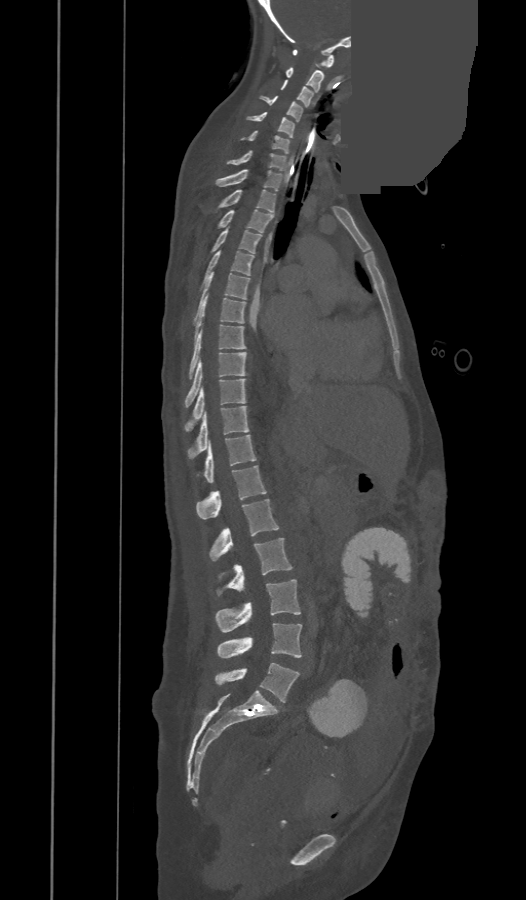

Computed tomography of the spine; sagittal view; 526x900 px; the image is 473 mm wide; a portion of the image is blanked out (constant pixel value)
Bounding boxes as [x1, y1, x2, y2] in pixel coordinates. These labels give the spine a thirteenth thoracic vertebra: T13 sits between T12 and L1. The labeled vertebrae in this slice are: C1 at [293, 49, 334, 67], C2 at [285, 67, 323, 92], C3 at [281, 80, 312, 107], C4 at [260, 96, 302, 121], C5 at [246, 112, 295, 137], C6 at [241, 130, 288, 154], C7 at [227, 150, 285, 170], T1 at [216, 169, 282, 190], T2 at [216, 189, 275, 212], T3 at [217, 209, 273, 232], T4 at [210, 229, 261, 254], T5 at [201, 251, 254, 287], T6 at [193, 271, 250, 322], T7 at [194, 295, 245, 339], T8 at [189, 325, 245, 379], T9 at [186, 352, 245, 406], T10 at [186, 379, 245, 430], T11 at [189, 406, 249, 457], T12 at [204, 435, 256, 482], T13 at [197, 466, 266, 518], L1 at [210, 499, 278, 561], L2 at [217, 538, 292, 596], L3 at [216, 579, 300, 631], L4 at [218, 623, 301, 657], L5 at [216, 662, 299, 702].